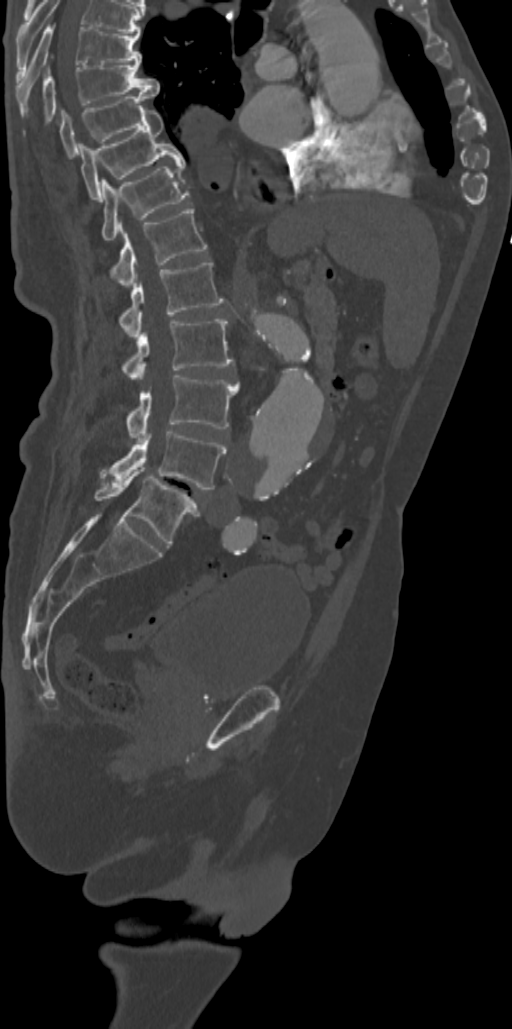

Computed tomography of the spine — sagittal view — image 342 mm wide — 512x1029 px. Bounding boxes as [x1, y1, x2, y2] in pixel coordinates.
The highest labeled vertebra in this scan is T7; the lowest is L5.
Vertebra bounding boxes:
- T7: [17, 22, 141, 109]
- T8: [42, 63, 159, 125]
- T9: [60, 92, 153, 156]
- T10: [79, 110, 184, 201]
- T11: [102, 162, 189, 242]
- T12: [109, 207, 207, 287]
- L1: [118, 261, 223, 336]
- L2: [121, 319, 234, 379]
- L3: [126, 375, 238, 439]
- L4: [103, 431, 226, 489]
- L5: [94, 470, 199, 545]